Spine computed tomography · image width 140 mm · sagittal reformat · bone window
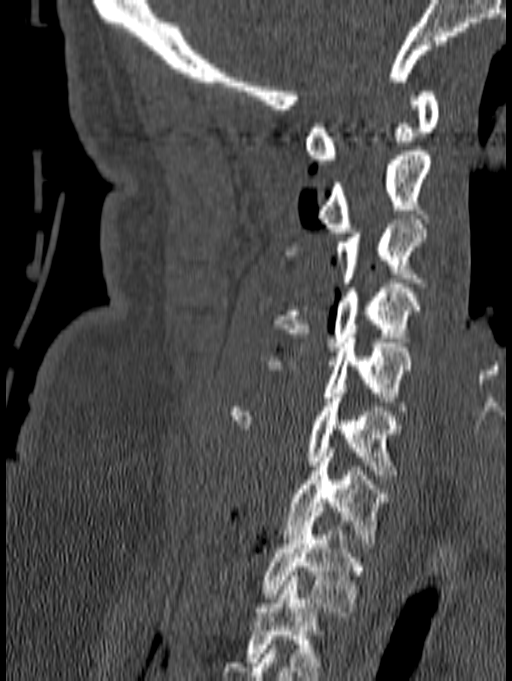

Labels in this scan begin with C1 at the top and end with T1 at the bottom.
<vertebrae><v name="C1" x1="304" y1="91" x2="440" y2="164"/><v name="C2" x1="317" y1="151" x2="430" y2="232"/><v name="C3" x1="285" y1="219" x2="426" y2="287"/><v name="C4" x1="273" y1="279" x2="422" y2="351"/><v name="C5" x1="259" y1="338" x2="410" y2="415"/><v name="C6" x1="231" y1="393" x2="403" y2="479"/><v name="C7" x1="285" y1="448" x2="392" y2="548"/><v name="T1" x1="261" y1="512" x2="366" y2="616"/></vertebrae>